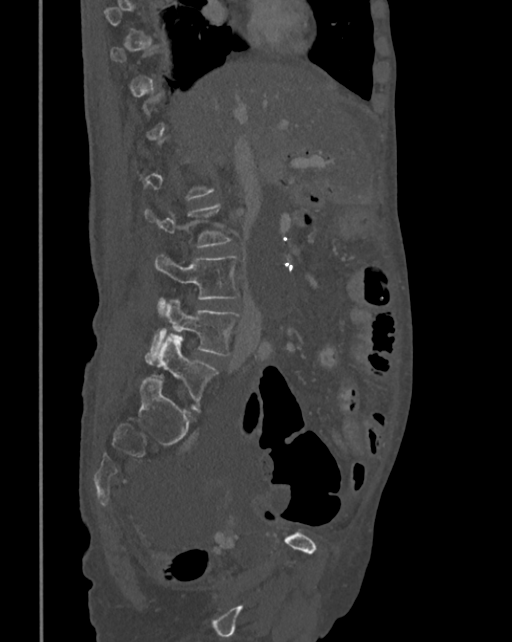

Computed tomography of the spine — sagittal view — image 342 mm wide. Each row gives a vertebra's box as x1, y1, x2, y2 in pixels: top-left corner, then bottom-right corner.
Each vertebra is boxed only on the slices from the first to the last where its cross-section reaches a third of its largest, so a slice outside that range leaves it unboxed.
| vertebra | x1 | y1 | x2 | y2 |
|---|---|---|---|---|
| L3 | 154 | 254 | 240 | 315 |
| L4 | 145 | 300 | 239 | 364 |
| L5 | 156 | 333 | 217 | 402 |